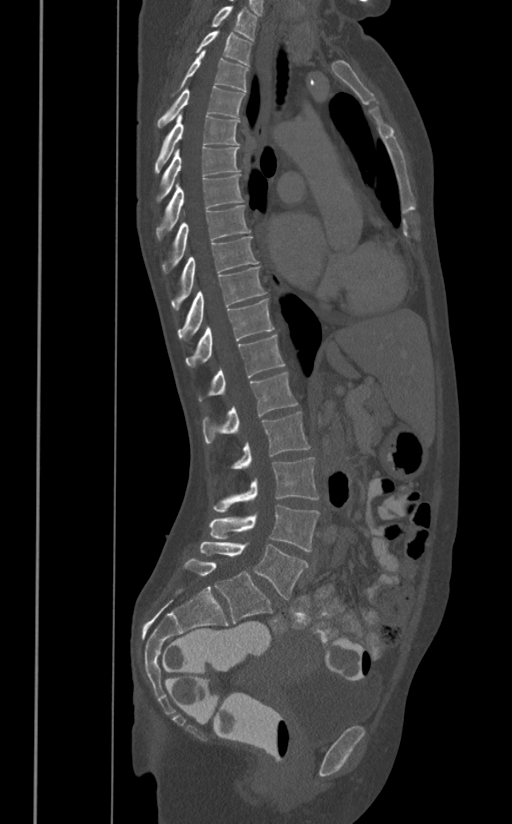

Spine computed tomography — sagittal view — bone window

Coordinates as <box>x1,y1,x2,y2</box>.
T1: <box>211,6,257,40</box>
T2: <box>196,31,252,65</box>
T3: <box>179,51,248,92</box>
T4: <box>157,86,245,127</box>
T5: <box>154,113,239,172</box>
T6: <box>156,146,240,201</box>
T7: <box>156,174,244,237</box>
T8: <box>163,204,250,272</box>
T9: <box>171,236,258,310</box>
T10: <box>178,266,266,341</box>
T11: <box>186,298,274,367</box>
T12: <box>199,334,284,401</box>
L1: <box>203,372,297,443</box>
L2: <box>232,411,310,468</box>
L3: <box>212,457,318,512</box>
L4: <box>209,504,320,552</box>
L5: <box>200,541,309,599</box>